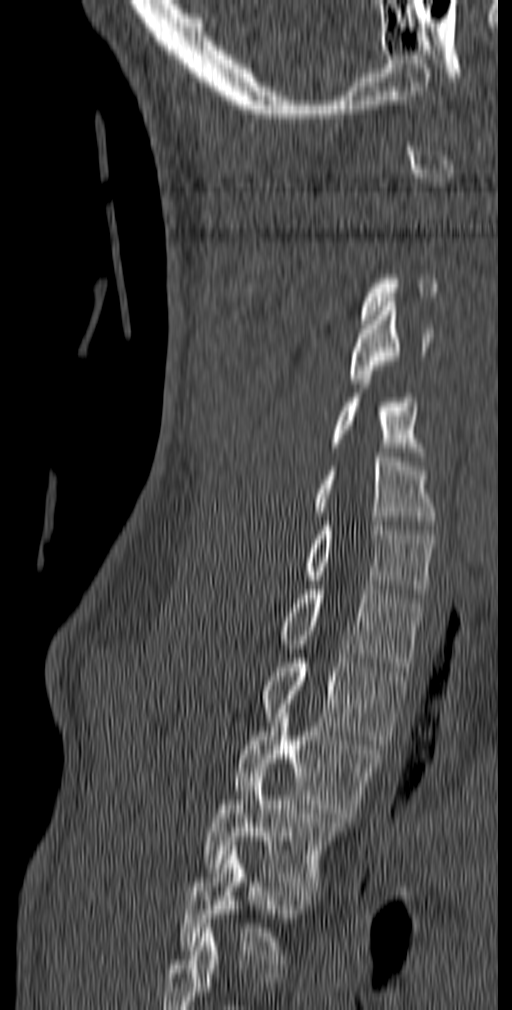

Spine CT — sagittal view — bone window
Boxes are (x1, y1, x2, y2) in pixels. Each vertebra is boxed only on the slices from the first to the last where its cross-section reaches a third of its largest, so a slice outside that range leaves it unboxed. In this scan, the topmost labeled vertebra is C1 and the lowest is T5. 9 vertebrae labeled — C4 at (349, 302, 432, 383); C5 at (330, 379, 425, 461); C6 at (313, 453, 436, 525); C7 at (305, 521, 435, 598); T1 at (279, 585, 425, 671); T2 at (261, 654, 408, 744); T3 at (235, 718, 380, 822); T4 at (202, 773, 343, 890); T5 at (178, 846, 313, 964).